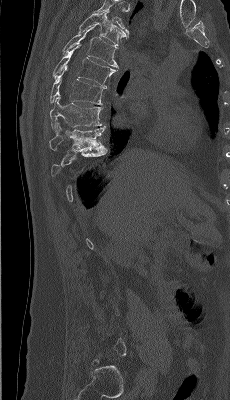 Spine computed tomography. sagittal view
A vertebra is boxed only from the first to the last slice where its cross-section is at least a third of its largest; slices outside that range leave it without a box.
Labels in this scan begin with T4 at the top and end with L5 at the bottom.
<vertebrae><v name="T4" x1="77" y1="10" x2="128" y2="44"/><v name="T5" x1="62" y1="24" x2="118" y2="67"/><v name="T6" x1="53" y1="44" x2="117" y2="88"/><v name="T7" x1="49" y1="68" x2="105" y2="104"/><v name="T8" x1="49" y1="93" x2="102" y2="131"/><v name="T9" x1="49" y1="122" x2="105" y2="151"/></vertebrae>